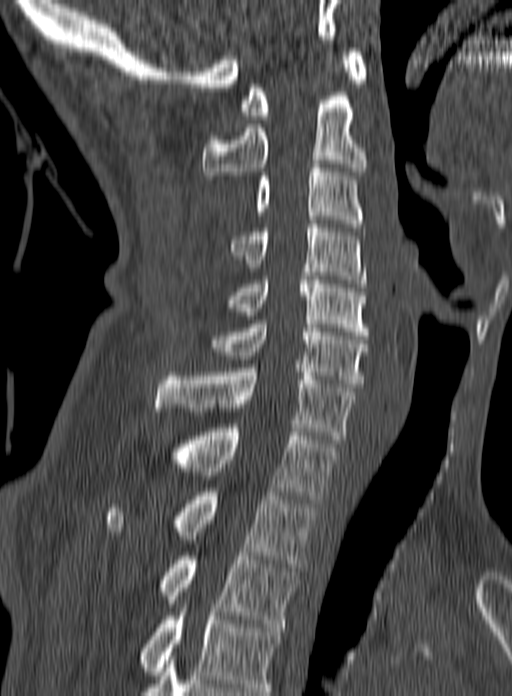
Spine CT · sagittal view · bone window

Each box given as x1,y1,x2,y2.
This scan's labels start at C1 at the top and end at T3 at the bottom.
Vertebra bounding boxes:
- C1: x1=240, y1=48, x2=367, y2=119
- C2: x1=203, y1=88, x2=366, y2=179
- C3: x1=255, y1=164, x2=362, y2=227
- C4: x1=230, y1=224, x2=367, y2=287
- C5: x1=212, y1=276, x2=368, y2=335
- C6: x1=209, y1=320, x2=368, y2=387
- C7: x1=155, y1=368, x2=355, y2=443
- T1: x1=168, y1=428, x2=338, y2=503
- T2: x1=104, y1=492, x2=317, y2=567
- T3: x1=158, y1=552, x2=301, y2=627